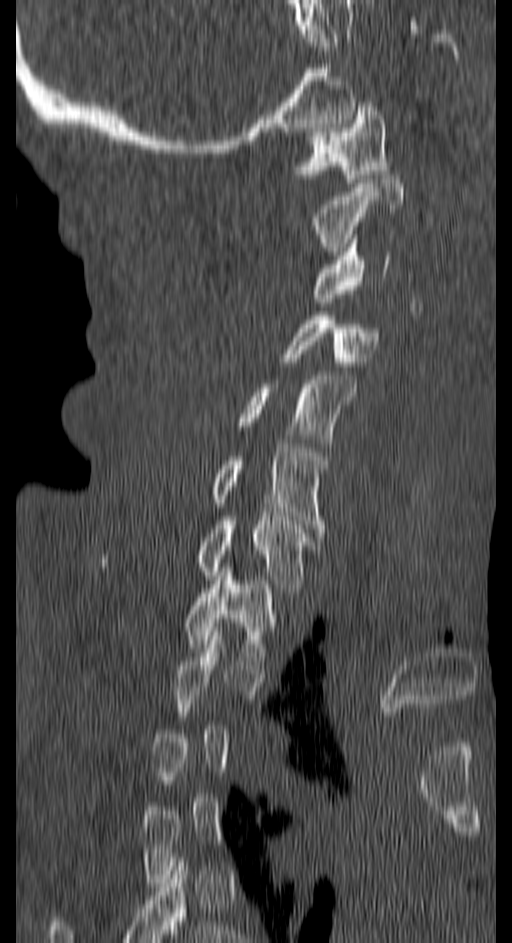
CT — sagittal reformat
Each row gives a vertebra's box as x1, y1, x2, y2 in pixels: top-left corner, then bottom-right corner.
Not every vertebra on this slice has a box: a vertebra is boxed only from the first to the last slice where its cross-section is at least a third of its largest, and this slice is outside that range for at least one of them.
| vertebra | x1 | y1 | x2 | y2 |
|---|---|---|---|---|
| T1 | 182 | 572 | 277 | 660 |
| C7 | 100 | 516 | 318 | 592 |
| C6 | 209 | 448 | 328 | 532 |
| C5 | 237 | 375 | 357 | 447 |
| C4 | 281 | 316 | 379 | 370 |
| C3 | 312 | 239 | 392 | 302 |
| C2 | 308 | 175 | 403 | 251 |
| C1 | 295 | 98 | 389 | 182 |